Computed tomography of the spine. the image spans 392 mm across. sagittal reformat. 392x453 px. 8 vertebrae labeled in this scan
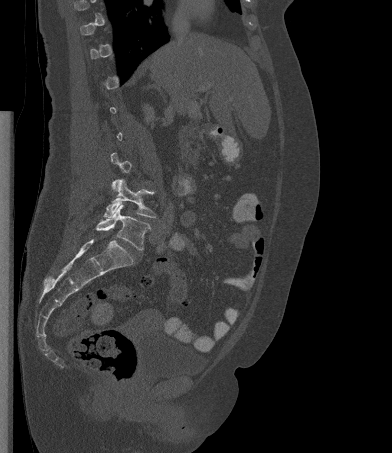

Boxes: x1 y1 x2 y2 (pixel coords, space-separated). A vertebra gets a box only on the slices from the first to the last where its cross-section is at least a third of its largest; on a slice outside that range it gets none. Vertebrae labeled: L4 at 104 179 156 217, L5 at 96 205 150 250.